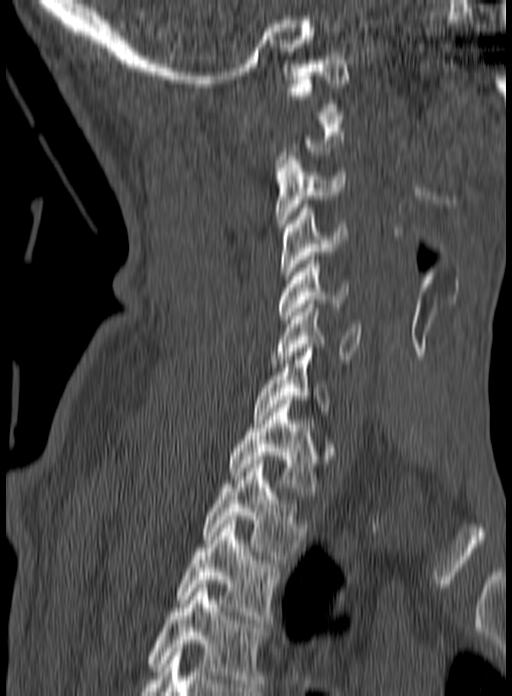 CT; sagittal view; 160 mm image width
Boxes are given in columns x1, y1, x2, y2, the pixel coordinates of their top-left and bottom-right corners.
A vertebra is boxed only from the first to the last slice where its cross-section is at least a third of its largest; slices outside that range leave it without a box.
The highest labeled vertebra in this scan is C1; the lowest is T3.
| vertebra | x1 | y1 | x2 | y2 |
|---|---|---|---|---|
| C1 | 287 | 64 | 349 | 111 |
| C3 | 275 | 156 | 346 | 231 |
| C4 | 280 | 204 | 347 | 279 |
| C5 | 278 | 256 | 349 | 319 |
| C6 | 270 | 300 | 363 | 367 |
| C7 | 254 | 344 | 331 | 419 |
| T1 | 228 | 400 | 321 | 495 |
| T2 | 203 | 464 | 307 | 559 |
| T3 | 177 | 516 | 282 | 623 |